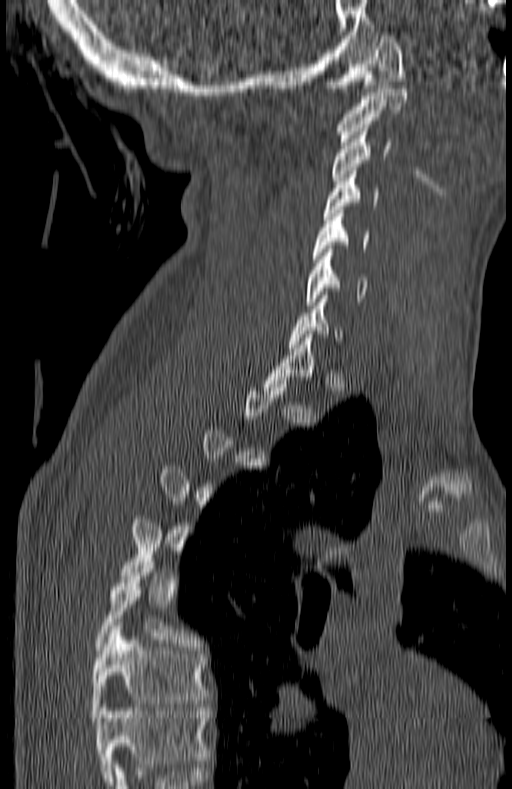
CT, spine; sagittal view; Bone window (WL 400, WW 1800); 180 mm across the image

In the table, x1 and y1 are a box's top-left corner and x2 and y2 its bottom-right corner, in pixels.
Not every vertebra on this slice has a box: a vertebra is boxed only from the first to the last slice where its cross-section is at least a third of its largest, and this slice is outside that range for at least one of them.
The highest labeled vertebra in this scan is C1; the lowest is T7.
| vertebra | x1 | y1 | x2 | y2 |
|---|---|---|---|---|
| C1 | 331 | 36 | 406 | 88 |
| C2 | 337 | 89 | 407 | 141 |
| C3 | 331 | 128 | 392 | 184 |
| C4 | 322 | 171 | 379 | 219 |
| C5 | 314 | 210 | 370 | 259 |
| C6 | 305 | 249 | 367 | 305 |
| T7 | 92 | 626 | 208 | 717 |